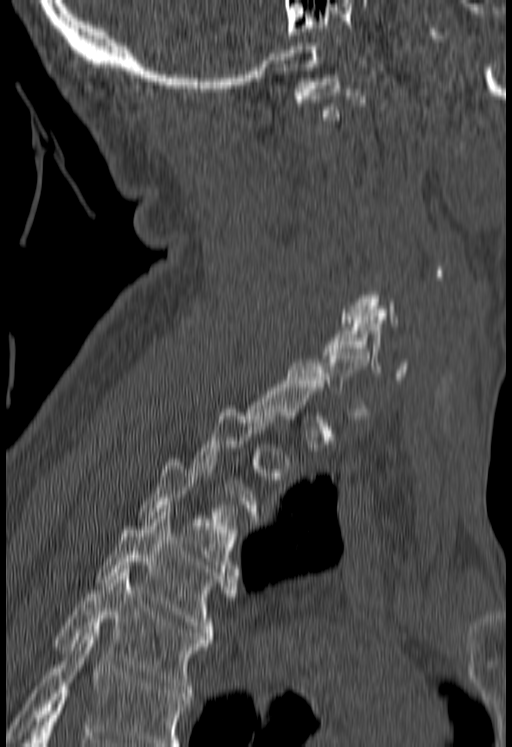
CT, spine. the image is 180 mm wide. sagittal reformat
Boxes are (x1, y1, x2, y2) in pixels.
Not every vertebra on this slice has a box: a vertebra is boxed only from the first to the last slice where its cross-section is at least a third of its largest, and this slice is outside that range for at least one of them.
No box is given to a vertebra that the bottom edge of the scan cuts off.
T5: (55, 569, 210, 696)
T4: (98, 512, 236, 639)
T3: (140, 455, 236, 568)
C6: (323, 316, 409, 379)